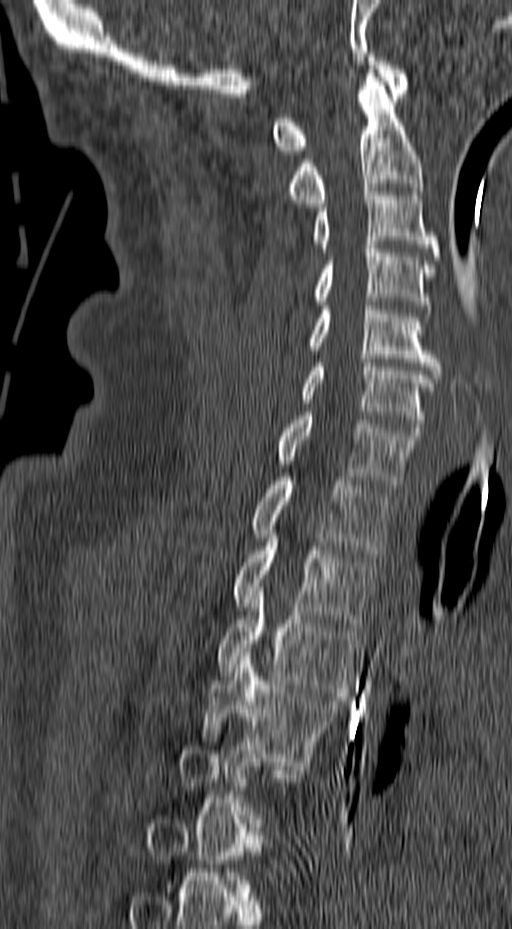
Computed tomography of the spine — image width 157 mm — sagittal view — W/L 1800/400 HU — 512x929 px
Box values are [left, top, right, bottom] in pixels.
A vertebra is boxed only from the first to the last slice where its cross-section is at least a third of its largest; slices outside that range leave it without a box.
{"vertebrae":{"C1":[272,53,409,154],"C2":[282,65,424,207],"C3":[311,188,440,260],"C4":[311,245,435,317],"C5":[308,306,443,378],"C6":[298,359,434,431],"C7":[275,412,421,488],"T1":[249,477,395,557],"T2":[233,526,375,627],"T3":[216,587,359,696],"T4":[201,652,343,765]}}